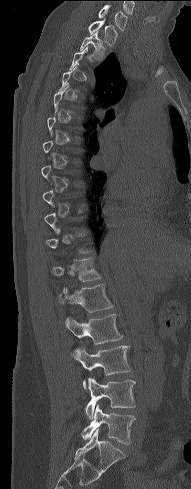 CT spine; sagittal view; 191x489 px; image width 191 mm
Box values are [left, top, right, bottom] in pixels.
A vertebra gets a box only on the slices from the first to the last where its cross-section is at least a third of its largest; on a slice outside that range it gets none.
{"vertebrae":{"L5":[82,405,135,444],"L4":[85,377,135,419],"L3":[71,346,131,390],"L2":[64,314,123,344],"L1":[59,284,113,312],"T12":[52,258,102,281],"T2":[79,31,106,60],"T1":[88,20,118,46],"C7":[98,5,127,30]}}